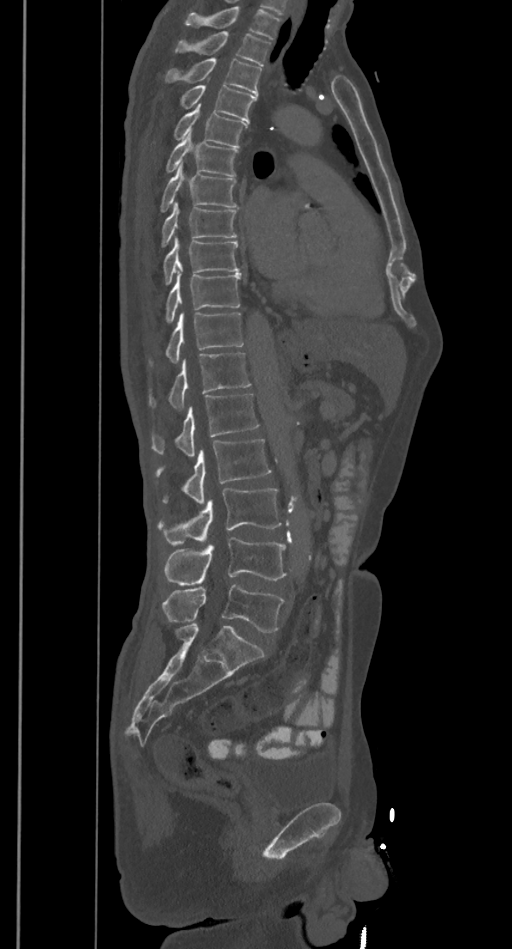
Computed tomography of the spine · sagittal view
Box edges are left/top/right/bottom in pixels.
Where the top of the scan cuts through a vertebra, that vertebra gets no label or box.
L5: left=162, top=583, right=285, bottom=632
L4: left=165, top=537, right=286, bottom=585
L3: left=158, top=487, right=281, bottom=545
L2: left=157, top=438, right=271, bottom=503
L1: left=151, top=394, right=258, bottom=457
T12: left=150, top=352, right=250, bottom=410
T11: left=166, top=312, right=244, bottom=362
T10: left=166, top=274, right=240, bottom=322
T9: left=163, top=236, right=238, bottom=285
T8: left=162, top=202, right=236, bottom=246
T7: left=161, top=162, right=236, bottom=211
T6: left=166, top=133, right=237, bottom=176
T5: left=174, top=103, right=245, bottom=147
T4: left=181, top=78, right=257, bottom=122
T3: left=165, top=59, right=261, bottom=96
T2: left=175, top=31, right=270, bottom=66